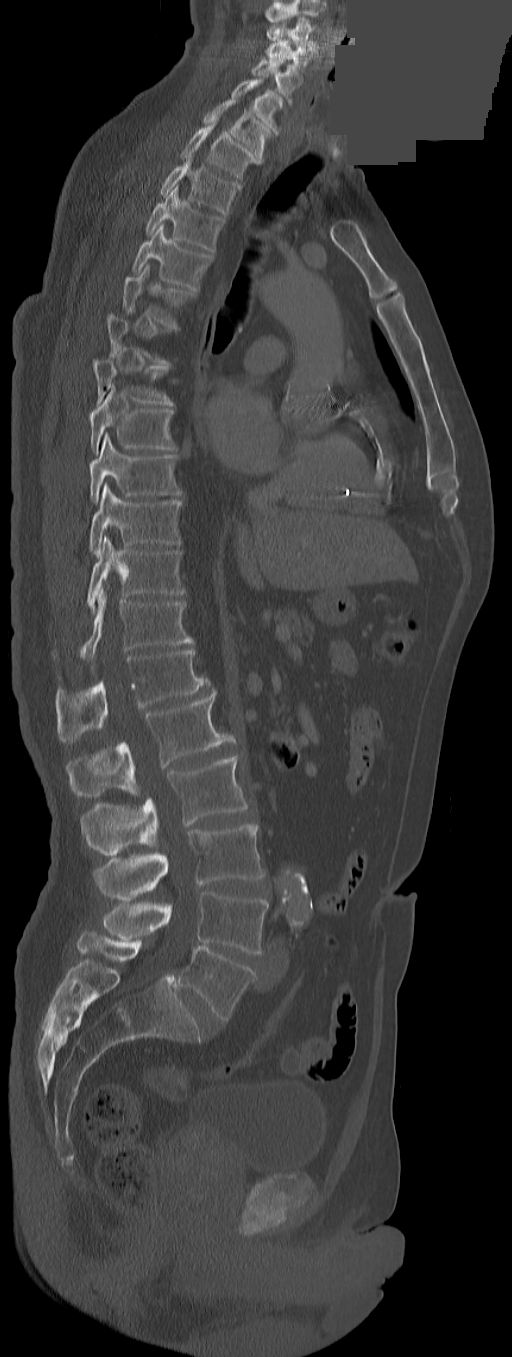

Spine CT — sagittal view — a region is masked with a constant gray value
Bounding boxes as [x1, y1, x2, y2] in pixel coordinates. Each vertebra is boxed only on the slices from the first to the last where its cross-section reaches a third of its largest, so a slice outside that range leaves it unboxed. In these labels the spine has a T13, a thirteenth thoracic vertebra, between T12 and L1. The labeled vertebrae in this slice are: L5 at [178, 946, 256, 1020], L4 at [102, 891, 269, 953], L3 at [94, 824, 265, 899], L2 at [80, 755, 249, 855], L1 at [67, 689, 228, 797], T13 at [55, 648, 209, 742], T12 at [80, 589, 193, 659], T11 at [87, 537, 184, 610], T10 at [88, 484, 182, 556], T9 at [90, 433, 181, 503], T8 at [90, 386, 175, 453], T7 at [94, 359, 174, 406], T5 at [123, 264, 193, 325], T4 at [132, 223, 212, 290], T3 at [145, 185, 225, 251], T2 at [159, 159, 240, 214], T1 at [180, 119, 261, 179], C7 at [204, 100, 270, 160], C6 at [231, 78, 282, 134], C5 at [252, 58, 302, 103], C4 at [266, 40, 314, 71], C3 at [266, 17, 316, 50].